Spine computed tomography — Sagittal slice 299/512 — Bone window (WL 400, WW 1800) — 512x696 px — scan covers 10 annotated vertebrae
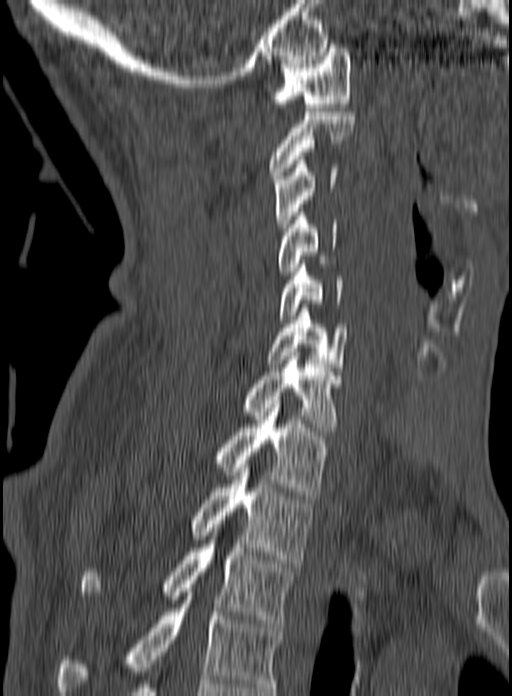

The highest labeled vertebra in this scan is C1; the lowest is T3.
<vertebrae><v name="C1" x1="271" y1="48" x2="351" y2="111"/><v name="C2" x1="269" y1="112" x2="355" y2="179"/><v name="C3" x1="273" y1="156" x2="337" y2="231"/><v name="C4" x1="278" y1="212" x2="337" y2="279"/><v name="C5" x1="279" y1="260" x2="343" y2="319"/><v name="C6" x1="264" y1="308" x2="347" y2="367"/><v name="C7" x1="241" y1="356" x2="341" y2="431"/><v name="T1" x1="212" y1="400" x2="334" y2="499"/><v name="T2" x1="190" y1="464" x2="314" y2="563"/><v name="T3" x1="78" y1="516" x2="295" y2="627"/></vertebrae>